Computed tomography of the spine. sagittal view. 183x211 px
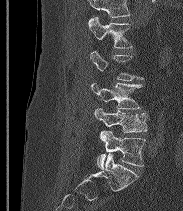 Each vertebra maps to its box as [x1, y1, x2, y2], the pixel coordinates of its top-left and bottom-right corners.
A vertebra gets a box only on the slices from the first to the last where its cross-section is at least a third of its largest; on a slice outside that range it gets none.
A vertebra cut off by the top edge of the scan is not labeled and has no box.
These labels give the spine a sixth lumbar vertebra, L6, below L5.
{"vertebrae":{"L6":[97,130,145,168],"L5":[94,108,147,132],"L4":[91,83,142,109],"L2":[88,17,132,48]}}